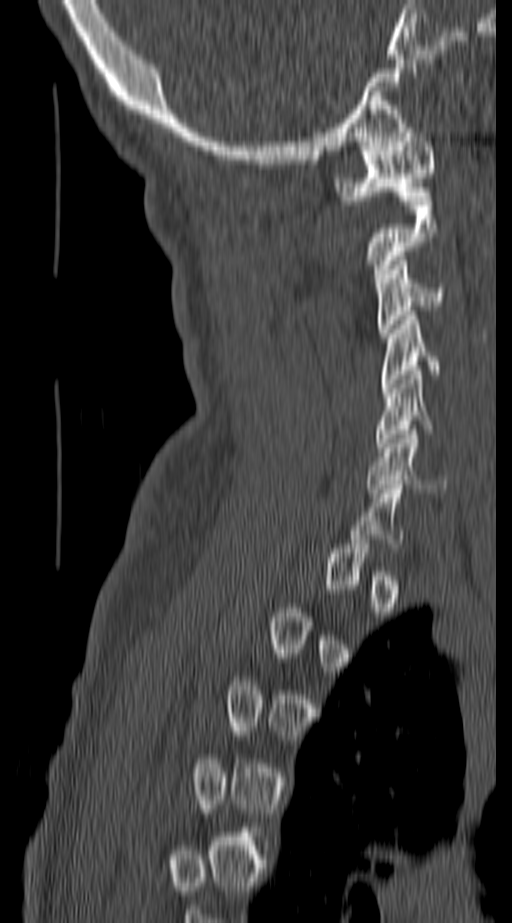 Computed tomography of the spine. image 140 mm wide. sagittal view
Boxes are (x1, y1, x2, y2) in pixels.
Each vertebra is boxed only on the slices from the first to the last where its cross-section reaches a third of its largest, so a slice outside that range leaves it unboxed.
C1: (334, 123, 436, 200)
C2: (367, 201, 436, 287)
C3: (378, 256, 446, 337)
C4: (382, 315, 443, 388)
C5: (373, 370, 432, 452)
C6: (366, 430, 446, 493)